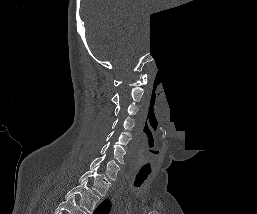

CT, spine — sagittal view — 257x214 px — a region is blanked to uniform black, ending in a straight edge
Boxes are (x1, y1, x2, y2) in pixels. This scan's labels start at C1 at the top and end at T1 at the bottom. Vertebrae labeled: C1 at (113, 74, 147, 86), C2 at (111, 87, 143, 103), C3 at (114, 102, 138, 117), C4 at (112, 118, 134, 134), C5 at (106, 131, 131, 148), C6 at (100, 142, 125, 163), C7 at (90, 154, 119, 181), T1 at (78, 165, 111, 196).